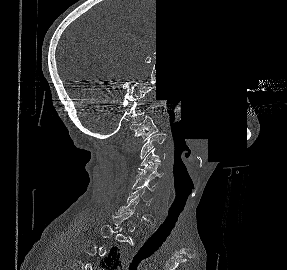
CT, spine · sagittal reformat · Bone window (WL 400, WW 1800) · 287 mm across the image · an area of the scan was removed and filled with constant pixels

Box values are [left, top, right, bottom] in pixels.
Each vertebra is boxed only on the slices from the first to the last where its cross-section reaches a third of its largest, so a slice outside that range leaves it unboxed.
{"vertebrae":{"C6":[127,187,153,216],"C5":[132,177,157,191],"C4":[136,162,163,179],"C3":[138,148,165,169],"C2":[140,133,165,158],"C1":[130,116,157,141]}}